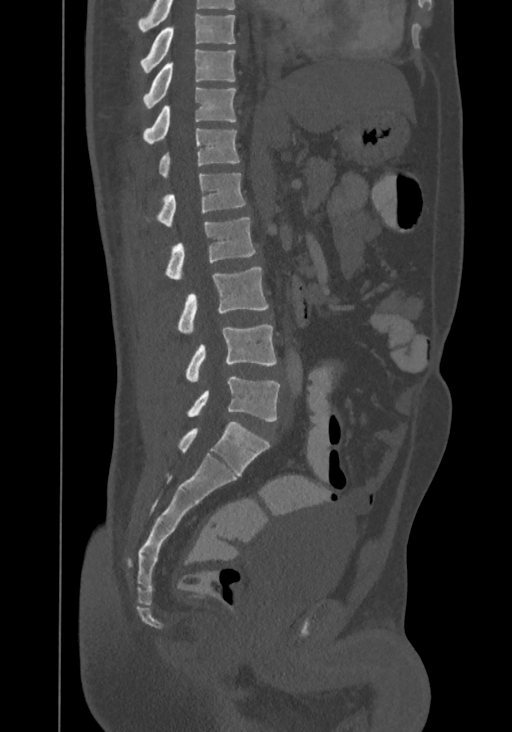
CT, spine — image width 367 mm — sagittal view
Each vertebra maps to its box as [x1, y1, x2, y2], the pixel coordinates of its top-left and bottom-right corners.
The highest labeled vertebra in this scan is T8; the lowest is L4.
{"vertebrae":{"T8":[141,14,235,73],"T9":[143,49,235,109],"T10":[143,88,236,143],"T11":[159,128,240,179],"T12":[157,173,246,226],"L1":[166,217,255,279],"L2":[178,267,268,333],"L3":[185,325,276,382],"L4":[188,377,279,421]}}